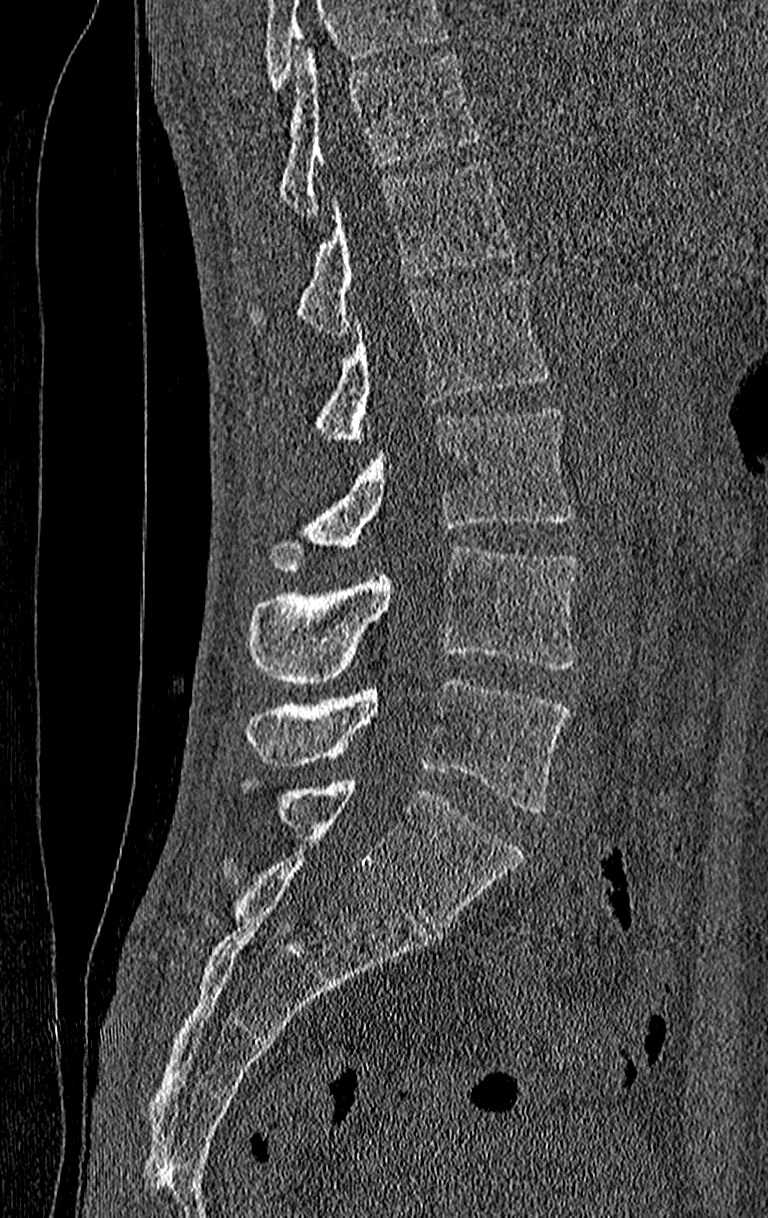

CT, spine · sagittal view · bone-window reconstruction
Boxes are (x1, y1, x2, y2) in pixels.
Where the top of the scan cuts through a vertebra, that vertebra gets no label or box.
The highest labeled vertebra in this scan is T11; the lowest is L4.
Vertebra bounding boxes:
- T11: (277, 48, 480, 220)
- T12: (247, 158, 521, 333)
- L1: (310, 275, 550, 438)
- L2: (262, 406, 572, 570)
- L3: (247, 546, 579, 684)
- L4: (244, 678, 568, 812)